CT — Sagittal slice 264/512
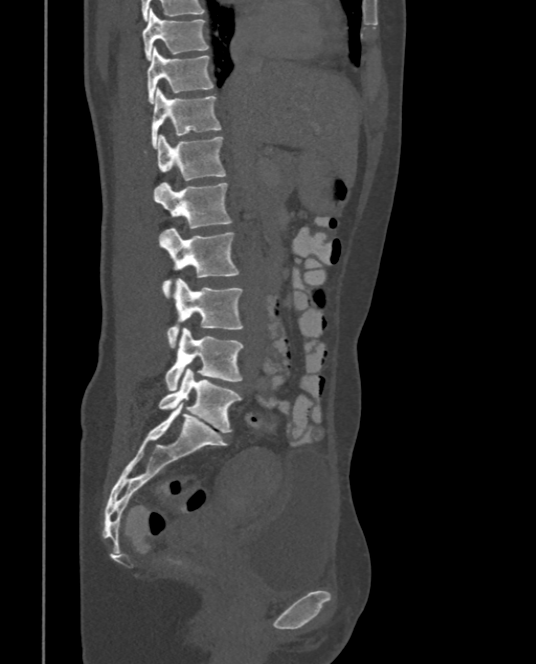
<vertebrae><v name="T9" x1="142" y1="10" x2="209" y2="60"/><v name="T10" x1="146" y1="47" x2="213" y2="103"/><v name="T11" x1="152" y1="88" x2="222" y2="146"/><v name="T12" x1="157" y1="134" x2="226" y2="180"/><v name="L1" x1="156" y1="183" x2="231" y2="229"/><v name="L2" x1="159" y1="228" x2="239" y2="297"/><v name="L3" x1="167" y1="278" x2="243" y2="347"/><v name="L4" x1="164" y1="327" x2="243" y2="390"/><v name="L5" x1="158" y1="368" x2="242" y2="432"/></vertebrae>